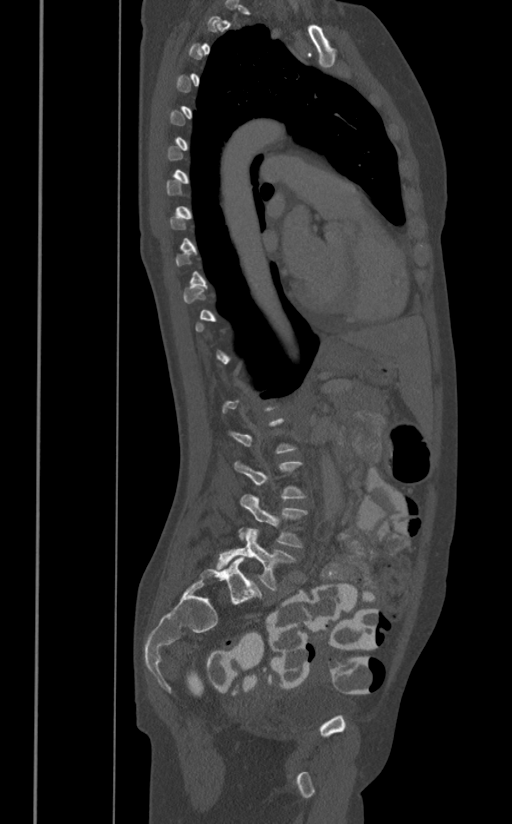 CT · sagittal view · bone-window reconstruction
Boxes: x1:y1:x2:y2 in pixels.
A vertebra is boxed only from the first to the last slice where its cross-section is at least a third of its largest; slices outside that range leave it without a box.
L3: 234:460:307:500
L4: 238:494:308:548
L5: 216:528:296:591